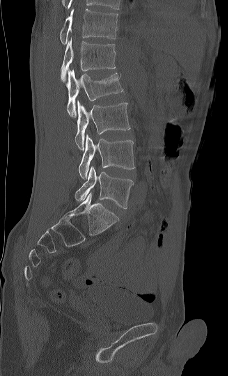
CT — sagittal view — the image spans 228 mm across — bone window
Columns x1, y1, x2, y2 give each box's top-left and bottom-right pixels.
This scan's labels start at L1 at the top and end at L5 at the bottom.
| vertebra | x1 | y1 | x2 | y2 |
|---|---|---|---|---|
| L5 | 75 | 165 | 133 | 208 |
| L4 | 78 | 134 | 135 | 179 |
| L3 | 75 | 100 | 130 | 151 |
| L2 | 66 | 69 | 123 | 117 |
| L1 | 60 | 37 | 115 | 81 |